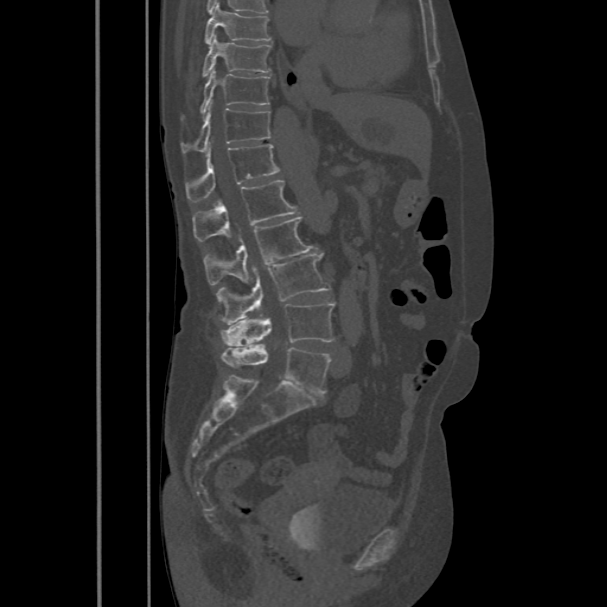

Spine CT; sagittal view; W/L 1800/400 HU; 607x607 px
Each row gives a vertebra's box as x1, y1, x2, y2 in pixels: top-left corner, then bottom-right corner.
| vertebra | x1 | y1 | x2 | y2 |
|---|---|---|---|---|
| L5 | 221 | 345 | 330 | 394 |
| L4 | 221 | 302 | 334 | 346 |
| L3 | 216 | 255 | 330 | 324 |
| L2 | 204 | 217 | 315 | 285 |
| L1 | 192 | 180 | 299 | 241 |
| T12 | 185 | 144 | 279 | 201 |
| T11 | 181 | 107 | 271 | 154 |
| T10 | 183 | 70 | 269 | 117 |
| T9 | 203 | 35 | 271 | 76 |
| T8 | 205 | 2 | 272 | 45 |